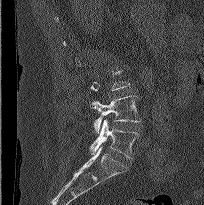 CT. sagittal view. 204x205 px. image width 204 mm

Boxes: x1:y1:x2:y2 in pixels. A vertebra gets a box only on the slices from the first to the last where its cross-section is at least a third of its largest; on a slice outside that range it gets none. The labeled vertebrae in this slice are: L4 at 89:95:140:133, L5 at 90:119:139:159.